Computed tomography of the spine — Sagittal slice 184/357
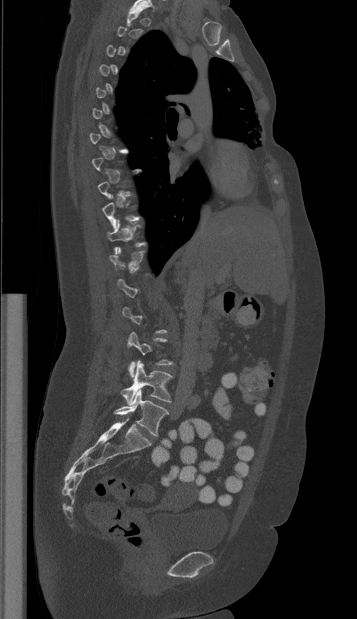
Boxes are (x1, y1, x2, y2) in pixels.
A vertebra is boxed only from the first to the last slice where its cross-section is at least a third of its largest; slices outside that range leave it without a box.
L4: (120, 360, 172, 403)
L5: (114, 389, 169, 436)